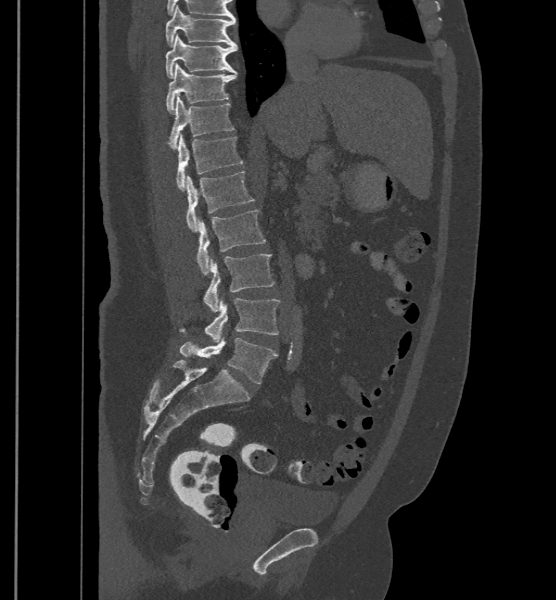

CT, spine — image 500 mm wide — sagittal reformat — Bone window (WL 400, WW 1800) — 556x600 px
The labels name a sixth lumbar vertebra for this spine: L6, after L5.
<vertebrae><v name="T9" x1="166" y1="5" x2="236" y2="46"/><v name="T10" x1="166" y1="34" x2="237" y2="77"/><v name="T11" x1="166" y1="63" x2="237" y2="112"/><v name="T12" x1="168" y1="94" x2="234" y2="149"/><v name="L1" x1="176" y1="134" x2="242" y2="190"/><v name="L2" x1="186" y1="171" x2="255" y2="232"/><v name="L3" x1="195" y1="210" x2="266" y2="275"/><v name="L4" x1="203" y1="253" x2="275" y2="311"/><v name="L5" x1="179" y1="298" x2="280" y2="341"/><v name="L6" x1="179" y1="338" x2="277" y2="383"/></vertebrae>